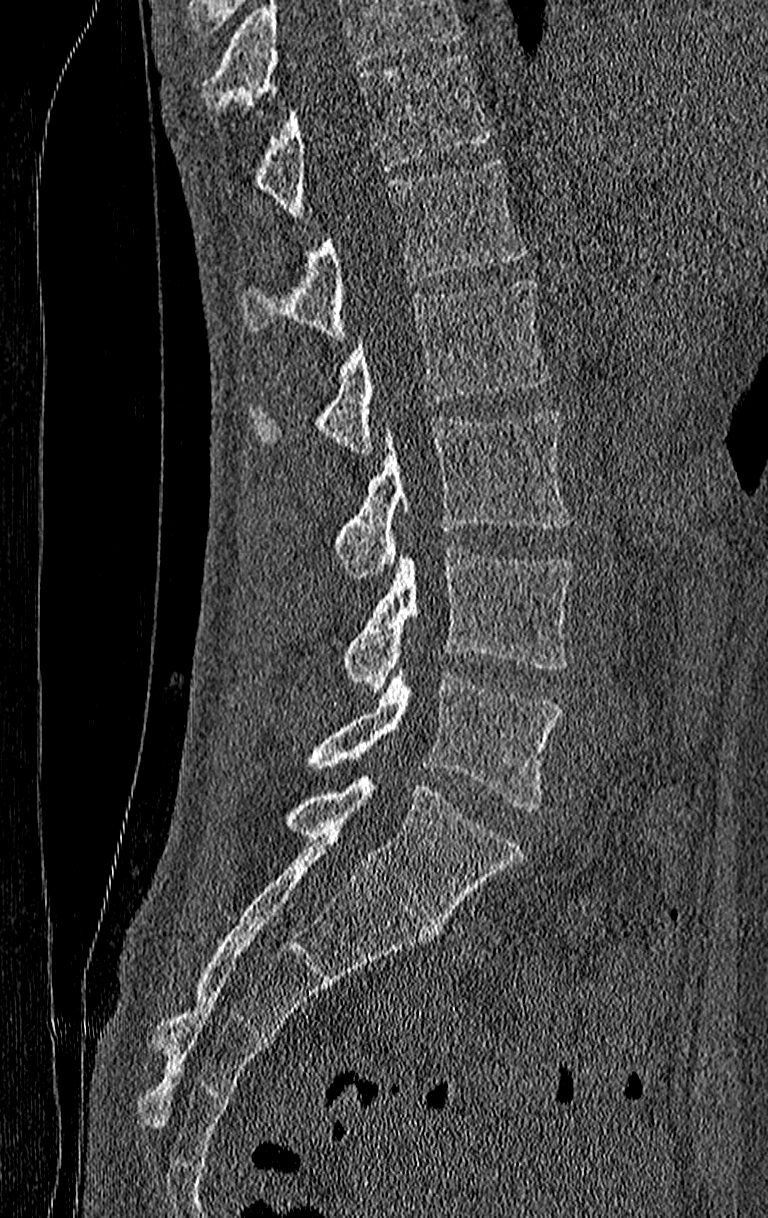 CT; sagittal view; W/L 1800/400 HU; 768x1218 px. Boxes: x1 y1 x2 y2 (pixel coords, space-separated).
No box is given to a vertebra that the top edge of the scan cuts off.
This scan's labels start at T11 at the top and end at L4 at the bottom.
T11: 251 56 488 216
T12: 240 158 524 336
L1: 247 278 550 453
L2: 335 410 572 578
L3: 342 550 572 692
L4: 306 673 561 812